Spine CT — sagittal view — Bone window (WL 400, WW 1800) — 824x928 px
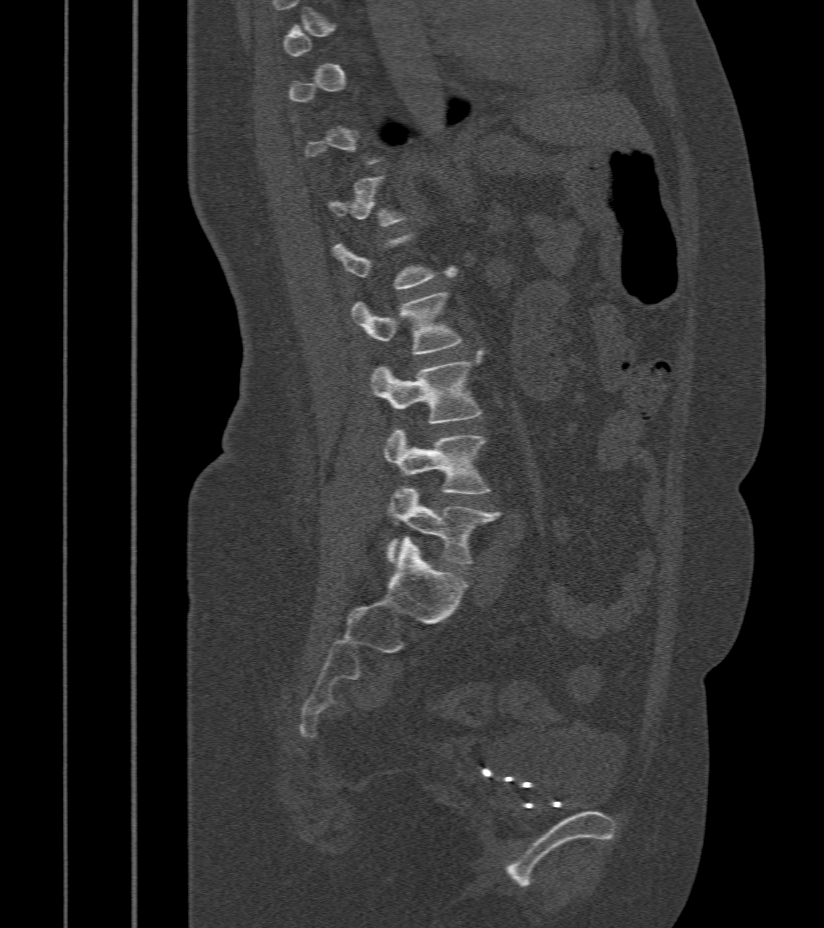 In the table, x1 and y1 are a box's top-left corner and x2 and y2 its bottom-right corner, in pixels.
Not every vertebra on this slice has a box: a vertebra is boxed only from the first to the last slice where its cross-section is at least a third of its largest, and this slice is outside that range for at least one of them.
| vertebra | x1 | y1 | x2 | y2 |
|---|---|---|---|---|
| L1 | 332 | 233 | 456 | 290 |
| L2 | 352 | 291 | 462 | 354 |
| L3 | 372 | 351 | 483 | 424 |
| L4 | 383 | 429 | 491 | 494 |
| L5 | 388 | 487 | 500 | 566 |